CT, spine · 210 mm image width · sagittal plane, index 88 · bone-window reconstruction
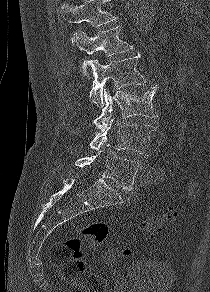
Boxes below are [x1, y1, x2, y2] in pixels.
No box is given to a vertebra that the top edge of the scan cuts off.
{"vertebrae":{"L1":[73,25,133,78],"L2":[86,52,145,107],"L3":[92,86,158,131],"L4":[89,118,156,155],"L5":[75,144,139,190]}}